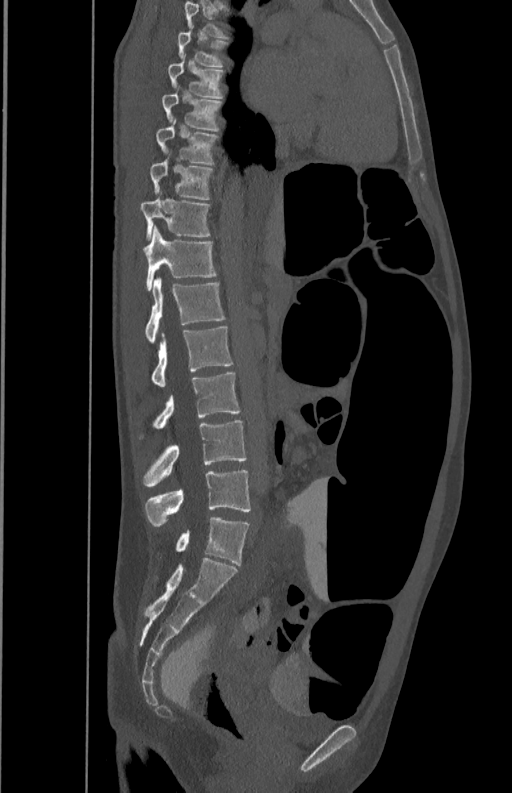
CT; sagittal view

Coordinates as <box>x1,y1,x2,y2</box>.
A vertebra gets a box only on the slices from the first to the last where its cross-section is at least a third of its largest; on a slice outside that range it gets none.
L5: <box>145,469,250,526</box>
L4: <box>143,420,246,486</box>
L3: <box>152,373,240,428</box>
L2: <box>150,327,233,386</box>
L1: <box>145,278,226,343</box>
T12: <box>143,226,217,290</box>
T11: <box>140,196,209,239</box>
T10: <box>149,151,212,199</box>
T9: <box>156,118,218,164</box>
T8: <box>162,87,223,131</box>
T7: <box>168,59,223,98</box>
T6: <box>178,32,227,66</box>